Computed tomography of the spine. sagittal view. W/L 1800/400 HU. the image spans 140 mm across. scan covers 10 annotated vertebrae. a uniform gray block covers part of the image
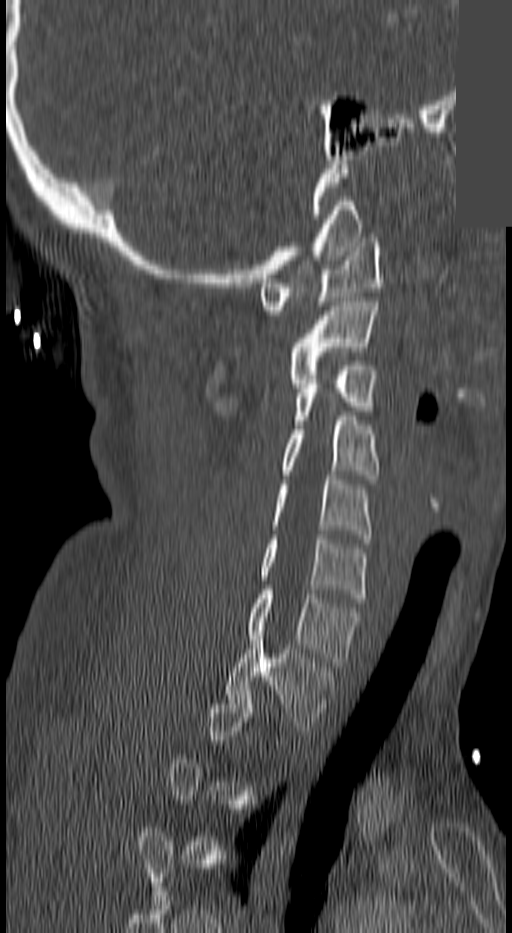 In the table, x1 and y1 are a box's top-left corner and x2 and y2 its bottom-right corner, in pixels.
A vertebra is boxed only from the first to the last slice where its cross-section is at least a third of its largest; slices outside that range leave it without a box.
| vertebra | x1 | y1 | x2 | y2 |
|---|---|---|---|---|
| C1 | 257 | 238 | 381 | 314 |
| C2 | 287 | 302 | 377 | 388 |
| C3 | 293 | 361 | 377 | 429 |
| C4 | 283 | 416 | 377 | 484 |
| C5 | 272 | 475 | 373 | 538 |
| C6 | 257 | 535 | 366 | 602 |
| C7 | 246 | 590 | 359 | 666 |
| T1 | 224 | 635 | 333 | 730 |